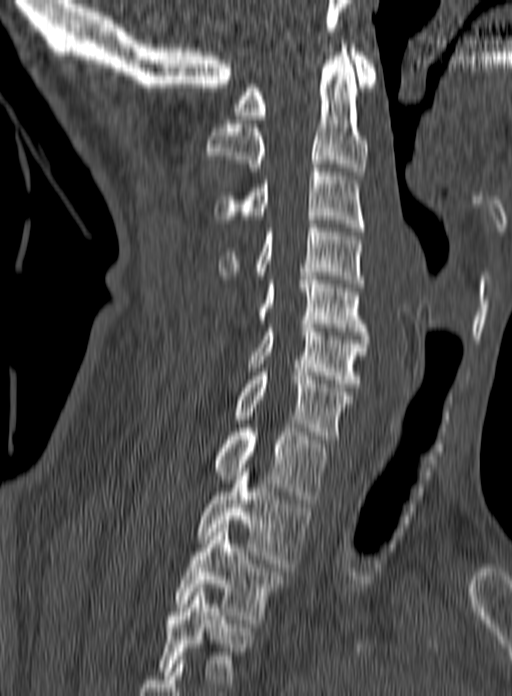
Computed tomography of the spine · sagittal view · 512x696 px · 160 mm image width. Boxes are (x1, y1, x2, y2) in pixels.
This scan's labels start at C1 at the top and end at T3 at the bottom.
Vertebra bounding boxes:
- T3: (174, 524, 285, 623)
- T2: (196, 464, 311, 567)
- T1: (212, 424, 328, 503)
- C7: (234, 372, 352, 443)
- C6: (248, 324, 369, 387)
- C5: (258, 272, 368, 335)
- C4: (218, 224, 364, 287)
- C3: (213, 164, 365, 231)
- C2: (205, 44, 369, 175)
- C1: (234, 48, 376, 119)